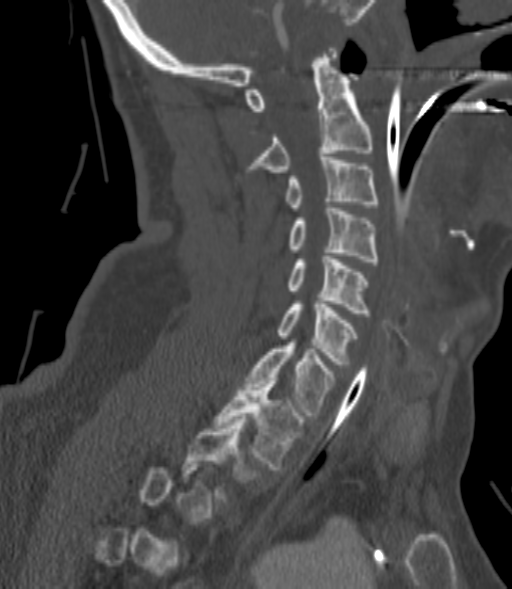 Spine CT · the image is 200 mm wide · sagittal view
Bounding boxes as [x1, y1, x2, y2] in pixel coordinates.
Not every vertebra on this slice has a box: a vertebra is boxed only from the first to the last slice where its cross-section is at least a third of its largest, and this slice is outside that range for at least one of them.
C2: [252, 48, 371, 172]
C3: [285, 157, 376, 210]
C4: [290, 205, 379, 261]
C5: [288, 253, 368, 313]
C6: [277, 301, 356, 364]
C7: [247, 339, 333, 415]
T1: [216, 378, 302, 469]